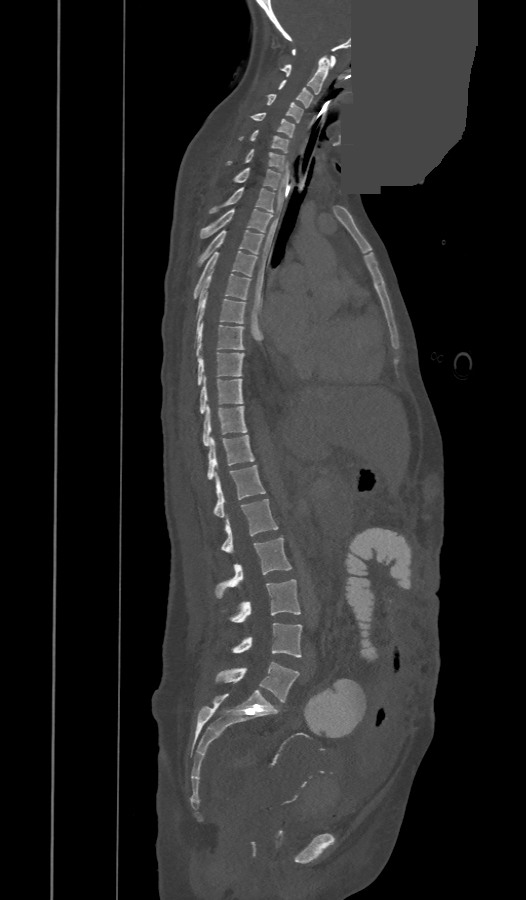

Spine CT. 473 mm wide. sagittal view. bone-window reconstruction. 526x900 px. a portion of the image is blanked out (constant pixel value)
In these labels the spine has a T13, a thirteenth thoracic vertebra, between T12 and L1.
<vertebrae><v name="C1" x1="292" y1="49" x2="335" y2="67"/><v name="C2" x1="281" y1="57" x2="329" y2="94"/><v name="C3" x1="279" y1="80" x2="312" y2="108"/><v name="C4" x1="267" y1="95" x2="302" y2="122"/><v name="C5" x1="251" y1="112" x2="295" y2="137"/><v name="C6" x1="239" y1="130" x2="288" y2="152"/><v name="C7" x1="227" y1="149" x2="284" y2="170"/><v name="T1" x1="233" y1="168" x2="282" y2="189"/><v name="T2" x1="208" y1="188" x2="274" y2="214"/><v name="T3" x1="200" y1="209" x2="272" y2="238"/><v name="T4" x1="198" y1="230" x2="264" y2="266"/><v name="T5" x1="193" y1="251" x2="257" y2="299"/><v name="T6" x1="197" y1="269" x2="250" y2="316"/><v name="T7" x1="196" y1="294" x2="245" y2="333"/><v name="T8" x1="196" y1="322" x2="243" y2="356"/><v name="T9" x1="197" y1="352" x2="244" y2="385"/><v name="T10" x1="200" y1="377" x2="243" y2="414"/><v name="T11" x1="202" y1="406" x2="246" y2="446"/><v name="T12" x1="207" y1="435" x2="255" y2="479"/><v name="T13" x1="214" y1="465" x2="265" y2="517"/><v name="L1" x1="222" y1="499" x2="278" y2="551"/><v name="L2" x1="216" y1="537" x2="292" y2="598"/><v name="L3" x1="229" y1="579" x2="300" y2="622"/><v name="L4" x1="231" y1="623" x2="301" y2="657"/><v name="L5" x1="216" y1="662" x2="299" y2="702"/></vertebrae>